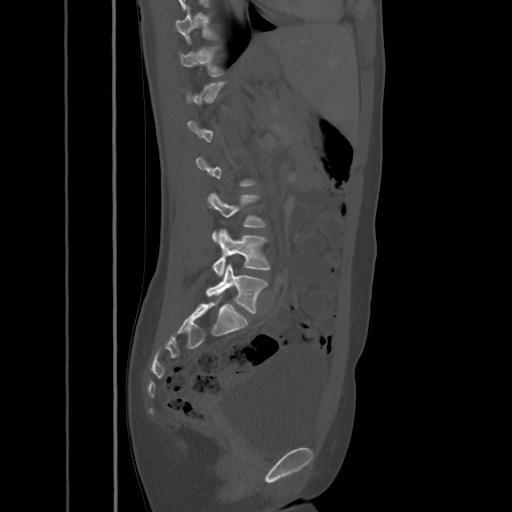 CT, spine · sagittal reformat · image 425 mm wide

A vertebra is boxed only from the first to the last slice where its cross-section is at least a third of its largest; slices outside that range leave it without a box.
<vertebrae><v name="T10" x1="175" y1="7" x2="217" y2="42"/><v name="T11" x1="178" y1="46" x2="223" y2="76"/><v name="L3" x1="207" y1="193" x2="265" y2="240"/><v name="L4" x1="212" y1="229" x2="270" y2="275"/><v name="L5" x1="206" y1="264" x2="268" y2="314"/></vertebrae>